CT spine; sagittal view; Bone window (WL 400, WW 1800)
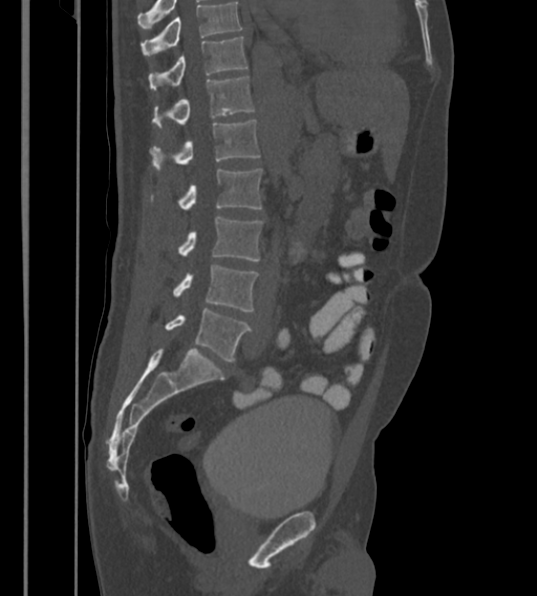
The highest labeled vertebra in this scan is T12; the lowest is L6.
In these labels the spine has an L6, a sixth lumbar vertebra below L5.
<vertebrae><v name="L6" x1="165" y1="309" x2="252" y2="361"/><v name="L5" x1="174" y1="265" x2="258" y2="311"/><v name="L4" x1="178" y1="216" x2="262" y2="261"/><v name="L3" x1="178" y1="169" x2="261" y2="210"/><v name="L2" x1="150" y1="120" x2="260" y2="170"/><v name="L1" x1="152" y1="76" x2="254" y2="126"/><v name="T12" x1="149" y1="36" x2="248" y2="90"/></vertebrae>